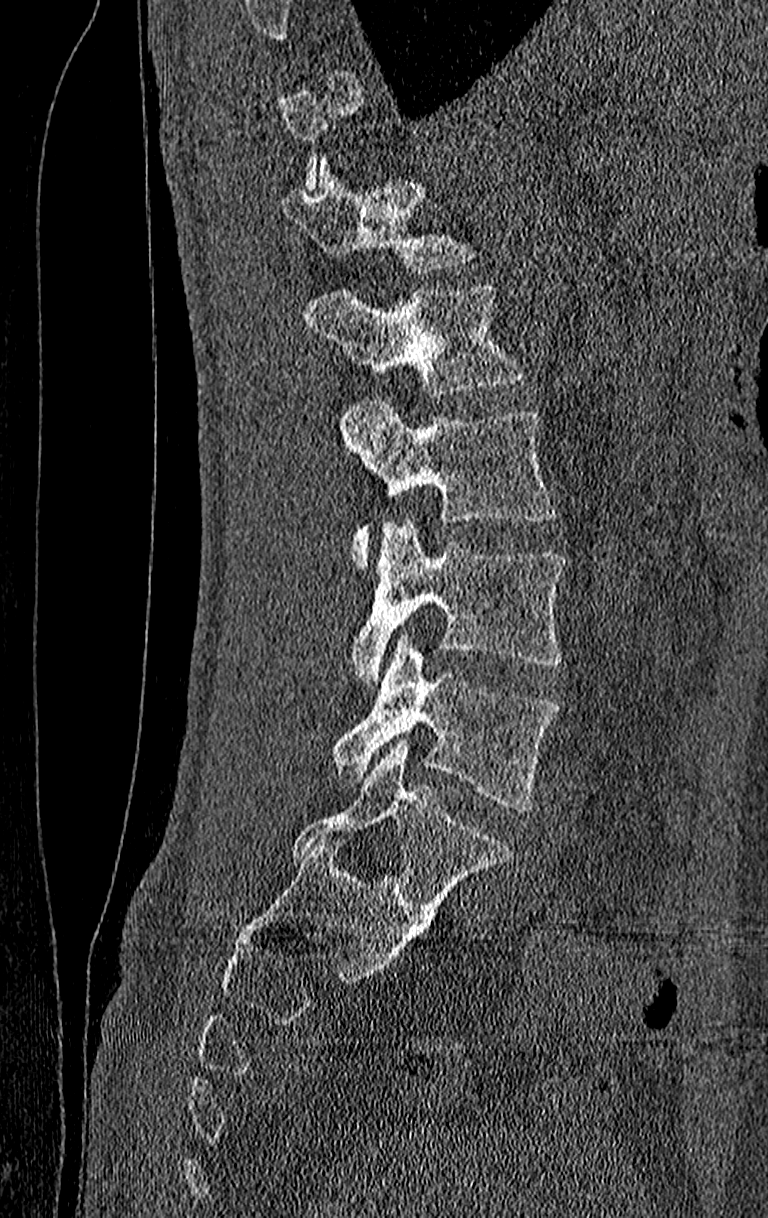
CT, spine — sagittal view — 768x1218 px
Each box is [x1, y1, x2, y2] in pixels: top-left corner, then bottom-right corner.
A vertebra gets a box only on the slices from the first to the last where its cross-section is at least a third of its largest; on a slice outside that range it gets none.
This scan's labels start at T11 at the top and end at L4 at the bottom.
{"vertebrae":{"L4":[331,634,561,812],"L3":[350,520,565,684],"L2":[339,400,557,570],"L1":[306,283,524,396],"T12":[280,160,473,271]}}